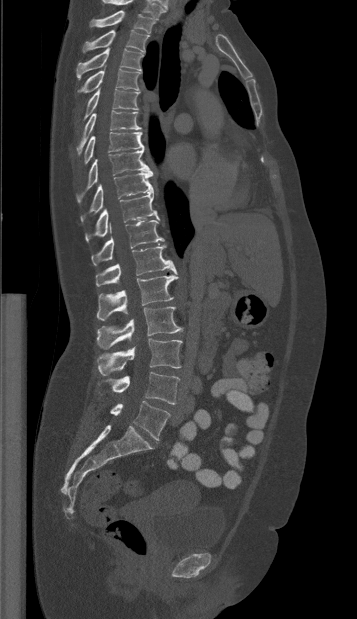

Spine CT · sagittal view · the image is 357 mm wide · bone-window reconstruction

Each box is [x1, y1, x2, y2] in pixels: top-left corner, then bottom-right corner.
The highest labeled vertebra in this scan is T1; the lowest is L5.
{"vertebrae":{"L5":[110,401,170,439],"L4":[98,372,179,404],"L3":[97,338,182,375],"L2":[96,307,182,349],"L1":[96,275,178,320],"T12":[95,245,177,286],"T11":[91,220,164,265],"T10":[85,188,159,242],"T9":[80,171,152,221],"T8":[76,149,150,201],"T7":[84,132,143,164],"T6":[76,110,141,154],"T5":[83,88,138,120],"T4":[77,69,139,94],"T3":[76,48,142,79],"T2":[82,29,149,52],"T1":[90,11,156,33]}}